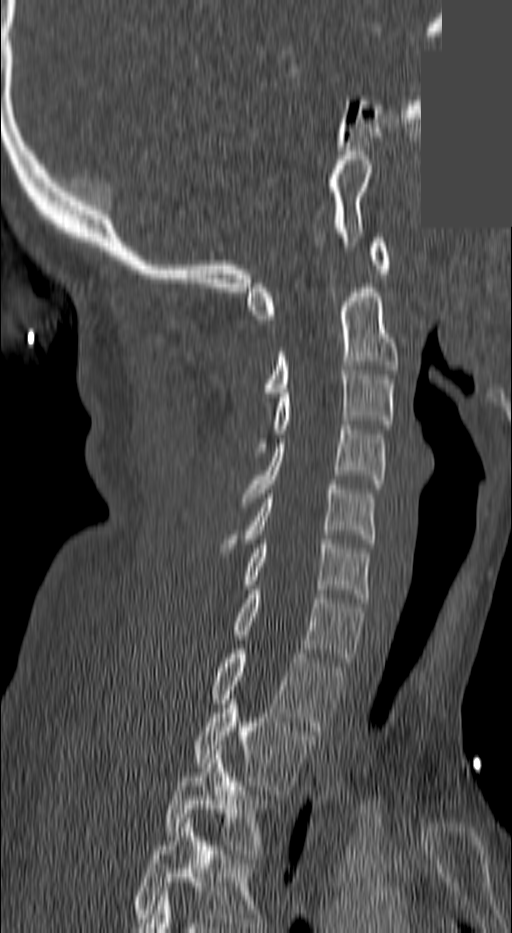

CT · sagittal view · bone-window reconstruction · a uniform gray block covers part of the image. Boxes are (x1, y1, x2, y2) in pixels. This scan's labels start at C1 at the top and end at T3 at the bottom. Vertebrae labeled: C1 at (246, 238, 388, 319), C2 at (261, 283, 399, 397), C3 at (251, 366, 395, 452), C4 at (241, 425, 384, 502), C5 at (223, 485, 373, 552), C6 at (243, 539, 370, 602), C7 at (232, 590, 362, 666), T1 at (210, 649, 344, 730), T2 at (192, 699, 315, 794), T3 at (162, 750, 275, 858).